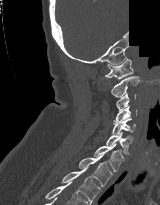 CT, spine — sagittal view — some of the image was removed or blocked out with constant pixels
<vertebrae><v name="C1" x1="105" y1="58" x2="133" y2="79"/><v name="C2" x1="110" y1="76" x2="139" y2="97"/><v name="C3" x1="116" y1="93" x2="135" y2="112"/><v name="C4" x1="113" y1="105" x2="137" y2="123"/><v name="C5" x1="112" y1="118" x2="136" y2="134"/><v name="C6" x1="106" y1="132" x2="133" y2="154"/><v name="C7" x1="94" y1="143" x2="124" y2="171"/><v name="T1" x1="78" y1="154" x2="112" y2="186"/><v name="T2" x1="61" y1="167" x2="100" y2="204"/></vertebrae>